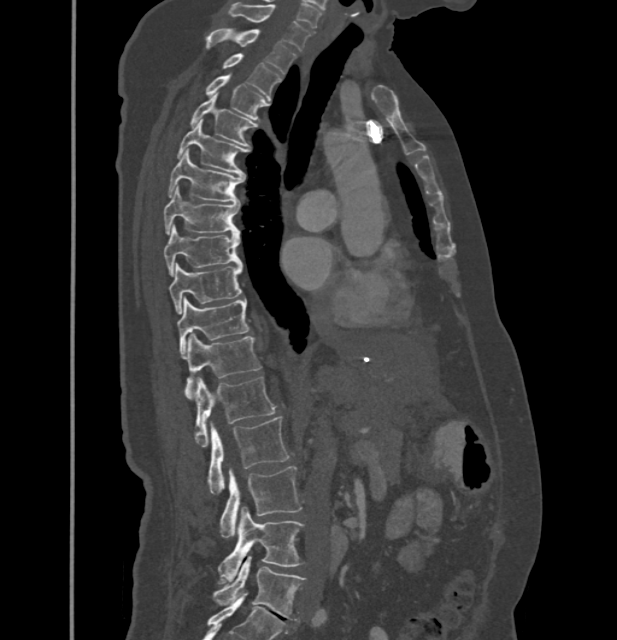
CT — sagittal view — Bone window (WL 400, WW 1800). Box edges are left/top/right/bottom in pixels.
In these labels the thoracic vertebrae end at T11, so L1 follows T11.
Vertebra bounding boxes:
- C7: left=230, top=3, right=310, bottom=51
- T1: left=206, top=29, right=296, bottom=74
- T2: left=222, top=53, right=282, bottom=96
- T3: left=204, top=76, right=268, bottom=121
- T4: left=190, top=95, right=257, bottom=146
- T5: left=177, top=120, right=246, bottom=175
- T6: left=168, top=150, right=244, bottom=202
- T7: left=164, top=186, right=239, bottom=234
- T8: left=164, top=225, right=240, bottom=276
- T9: left=170, top=263, right=241, bottom=314
- T10: left=177, top=297, right=249, bottom=356
- T11: left=186, top=333, right=262, bottom=399
- L1: left=195, top=376, right=276, bottom=446
- L2: left=209, top=416, right=288, bottom=494
- L3: left=219, top=466, right=302, bottom=538
- L4: left=218, top=507, right=303, bottom=582
- L5: left=212, top=556, right=305, bottom=619